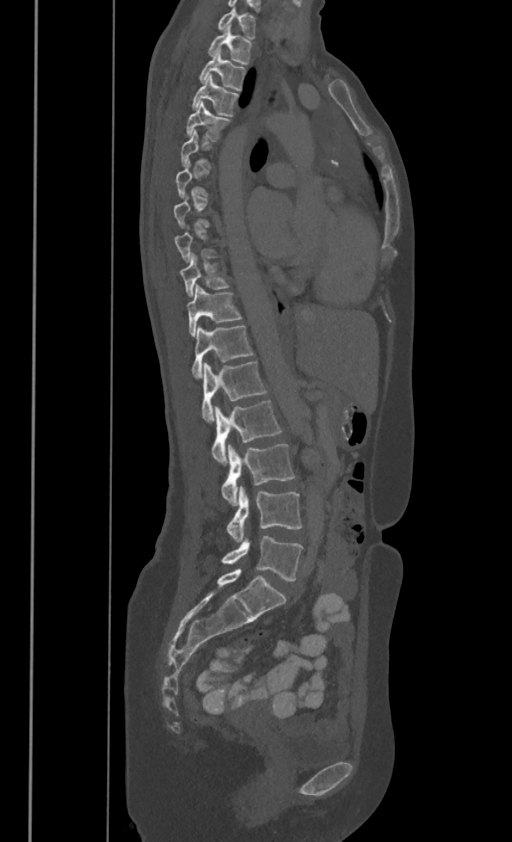

CT; sagittal view; bone window; 512x842 px
Boxes below are [x1, y1, x2, y2] in pixels.
A vertebra is boxed only from the first to the last slice where its cross-section is at least a third of its largest; slices outside that range leave it without a box.
In these labels the thoracic vertebrae end at T11, so L1 follows T11.
{"vertebrae":{"C7":[217,6,255,37],"T1":[208,25,252,63],"T2":[199,49,246,89],"T3":[191,74,239,115],"T4":[186,100,231,141],"T9":[180,252,230,296],"T10":[187,283,242,334],"T11":[191,325,254,376],"L1":[201,361,265,422],"L2":[211,399,281,465],"L3":[221,444,295,505],"L4":[227,487,301,541],"L5":[221,537,303,580]}}